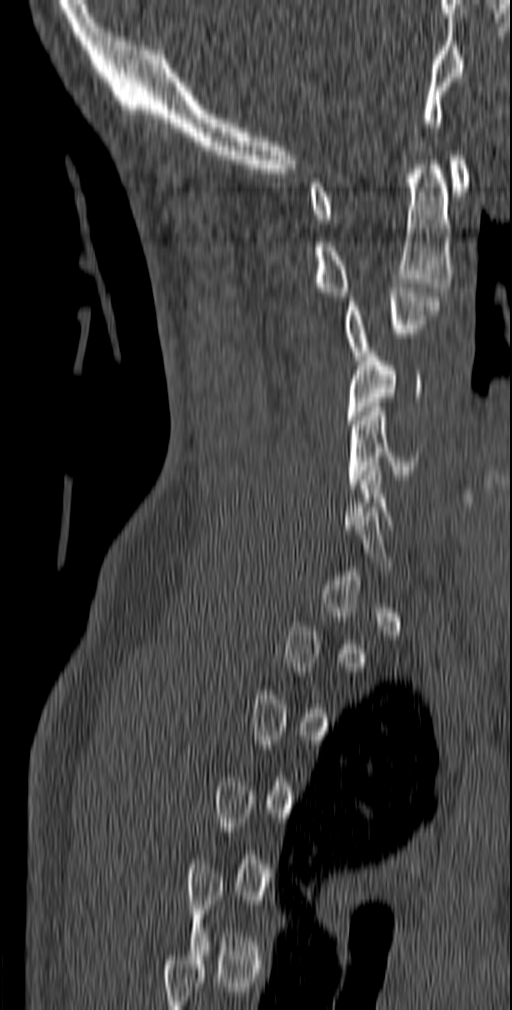

Spine CT · sagittal view. Boxes: x1:y1:x2:y2 in pixels.
A vertebra gets a box only on the slices from the first to the last where its cross-section is at least a third of its largest; on a slice outside that range it gets none.
C1: 309:155:470:223
C2: 315:155:451:301
C3: 345:283:439:360
C4: 346:347:422:424
C5: 348:407:420:488